Computed tomography of the spine — sagittal reformat — 218x667 px
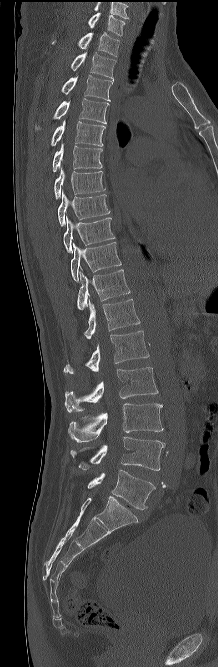

Columns x1, y1, x2, y2 give each box's top-left and bottom-right pixels.
In this scan, the topmost labeled vertebra is C7 and the lowest is L5.
| vertebra | x1 | y1 | x2 | y2 |
|---|---|---|---|---|
| L5 | 87 | 470 | 155 | 509 |
| L4 | 70 | 437 | 165 | 470 |
| L3 | 68 | 403 | 163 | 442 |
| L2 | 64 | 367 | 158 | 412 |
| L1 | 63 | 330 | 149 | 374 |
| T12 | 84 | 299 | 140 | 338 |
| T11 | 77 | 269 | 130 | 310 |
| T10 | 71 | 242 | 121 | 282 |
| T9 | 63 | 216 | 114 | 253 |
| T8 | 58 | 190 | 109 | 225 |
| T7 | 54 | 167 | 105 | 200 |
| T6 | 53 | 143 | 102 | 171 |
| T5 | 51 | 120 | 105 | 146 |
| T4 | 53 | 98 | 109 | 123 |
| T3 | 61 | 75 | 112 | 101 |
| T2 | 71 | 52 | 116 | 81 |
| T1 | 51 | 32 | 119 | 56 |
| C7 | 88 | 12 | 125 | 35 |